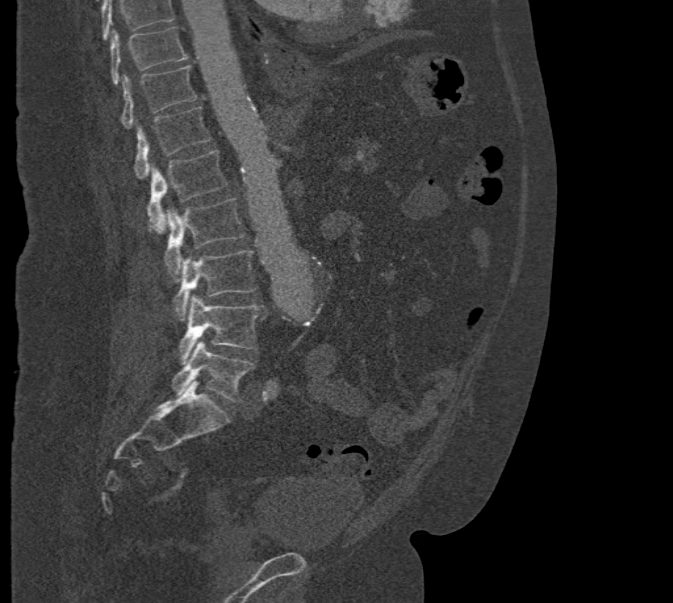 CT, spine; image width 471 mm; sagittal view

Boxes: x1:y1:x2:y2 in pixels.
Vertebrae that run past the top of the scan are left unlabeled.
T10: 110:26:187:85
T11: 120:65:196:128
T12: 134:106:212:178
L1: 147:150:228:231
L2: 164:198:245:277
L3: 172:250:257:321
L4: 179:295:263:362
L5: 171:340:253:402